CT spine · sagittal plane, index 257
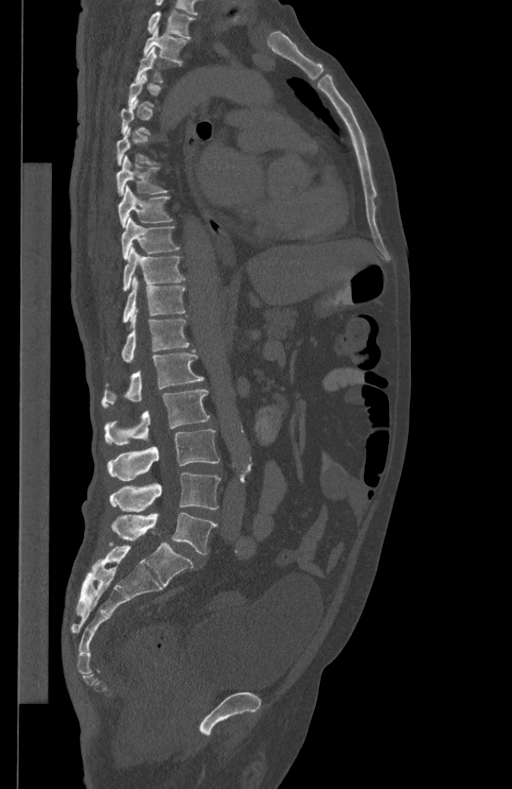 A vertebra is boxed only from the first to the last slice where its cross-section is at least a third of its largest; slices outside that range leave it without a box.
This scan's labels start at T1 at the top and end at L5 at the bottom.
<vertebrae><v name="L5" x1="111" y1="513" x2="217" y2="554"/><v name="L4" x1="110" y1="472" x2="221" y2="511"/><v name="L3" x1="107" y1="429" x2="220" y2="481"/><v name="L2" x1="104" y1="389" x2="209" y2="445"/><v name="L1" x1="101" y1="349" x2="204" y2="407"/><v name="T12" x1="121" y1="310" x2="189" y2="362"/><v name="T11" x1="123" y1="277" x2="185" y2="323"/><v name="T10" x1="123" y1="246" x2="185" y2="291"/><v name="T9" x1="121" y1="217" x2="179" y2="259"/><v name="T8" x1="118" y1="185" x2="174" y2="227"/><v name="T7" x1="117" y1="155" x2="169" y2="195"/><v name="T3" x1="134" y1="48" x2="181" y2="83"/><v name="T2" x1="144" y1="28" x2="188" y2="63"/><v name="T1" x1="146" y1="12" x2="196" y2="38"/></vertebrae>